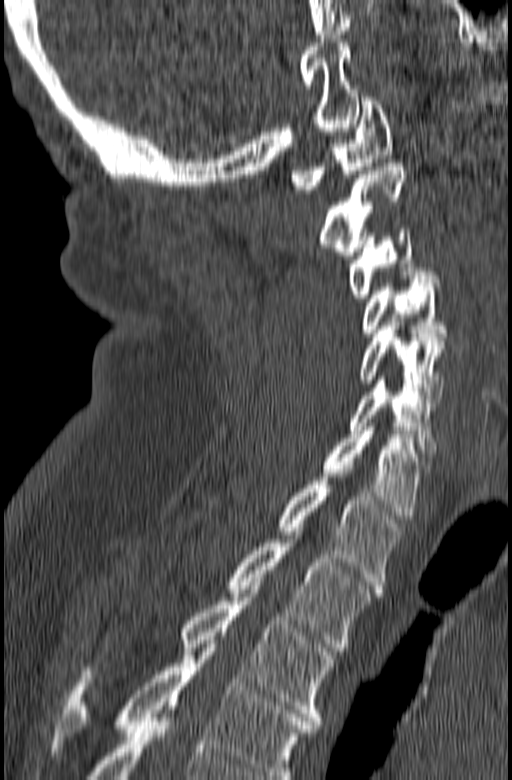 Computed tomography of the spine. sagittal reformat. image 165 mm wide. W/L 1800/400 HU. 512x780 px
Boxes below are [x1, y1, x2, y2] in pixels.
In this scan, the topmost labeled vertebra is C1 and the lowest is T3.
{"vertebrae":{"C1":[291,97,391,193],"C2":[321,163,407,259],"C3":[349,229,422,298],"C4":[361,272,447,336],"C5":[358,326,444,399],"C6":[349,376,436,453],"C7":[314,427,428,519],"T1":[186,481,403,585],"T2":[225,528,380,651],"T3":[82,586,334,724]}}